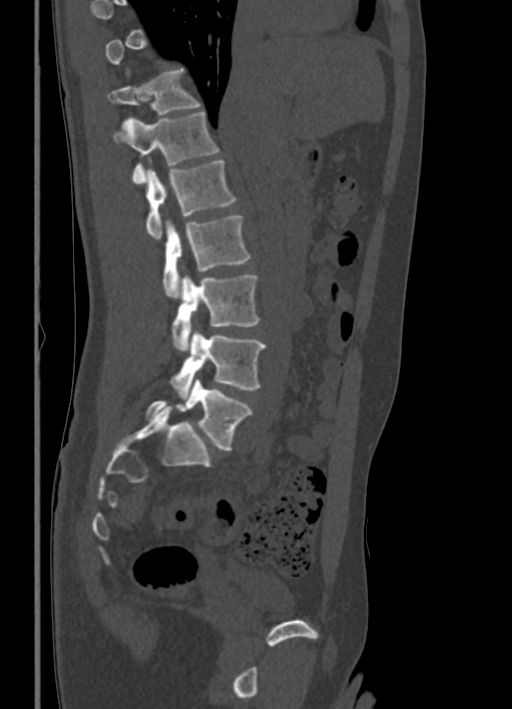

CT · sagittal view. Boxes are (x1, y1, x2, y2) in pixels.
Each vertebra is boxed only on the slices from the first to the last where its cross-section reaches a third of its largest, so a slice outside that range leaves it unboxed.
T11: (108, 70, 200, 115)
T12: (113, 111, 218, 183)
L1: (146, 160, 235, 238)
L2: (163, 215, 250, 298)
L3: (172, 274, 259, 351)
L4: (170, 331, 266, 398)
L5: (145, 379, 252, 450)